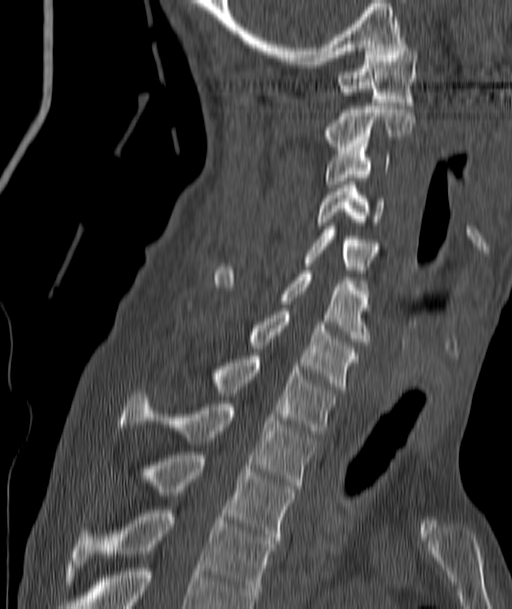 CT. sagittal reformat. W/L 1800/400 HU. 512x609 px

Boxes: x1 y1 x2 y2 (pixel coords, space-separated). Vertebrae labeled: C1 at 338 44 417 105, C2 at 324 106 413 150, C3 at 327 144 389 187, C4 at 318 181 383 225, C5 at 305 226 387 273, C6 at 214 267 369 341, C7 at 250 311 359 389, T1 at 214 356 334 434, T2 at 121 394 315 488, T3 at 146 452 296 543, T4 at 72 510 274 601.